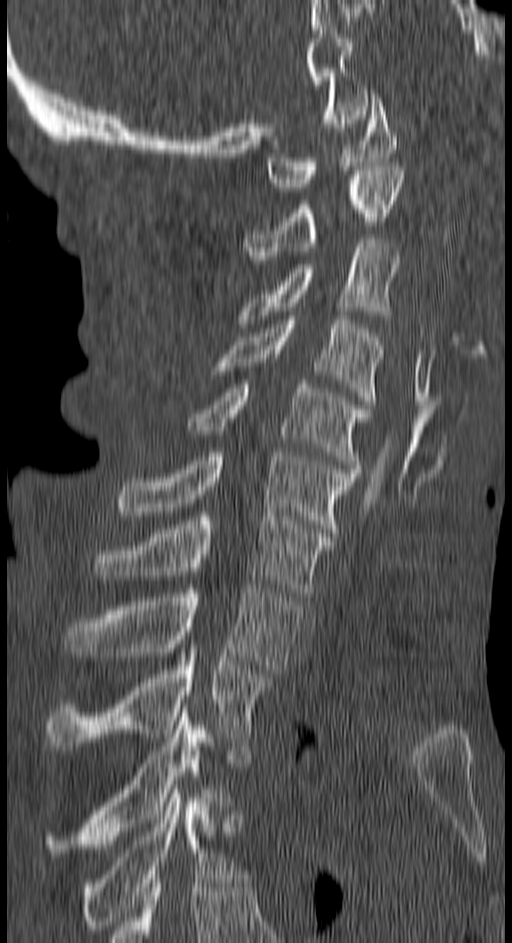 CT · sagittal view · bone-window reconstruction · 512x943 px
Each box is [x1, y1, x2, y2] in pixels: top-left corner, then bottom-right corner.
{"vertebrae":{"C1":[267,94,396,191],"C2":[244,166,404,268],"C3":[239,239,400,323],"C4":[213,316,383,404],"C5":[189,380,369,468],"C6":[117,452,359,537],"C7":[97,512,331,596],"T1":[66,585,301,673],"T2":[46,649,273,750],"T3":[46,708,225,852],"T4":[83,789,236,933]}}